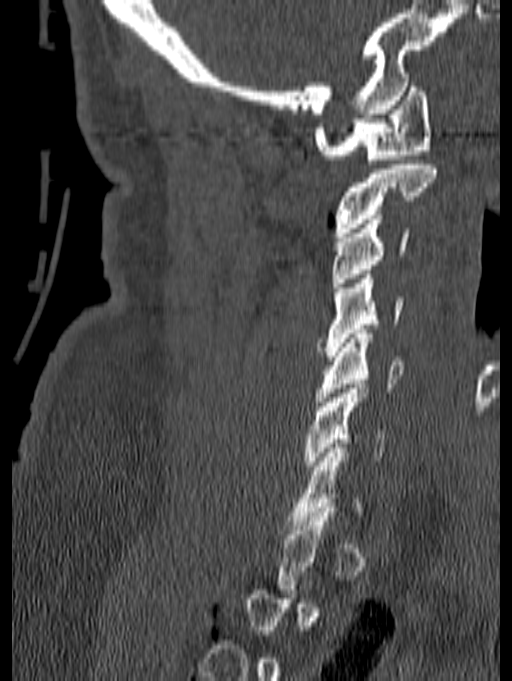
CT, spine. sagittal reformat. 512x681 px. Boxes are (x1, y1, x2, y2) in pixels.
Each vertebra is boxed only on the slices from the first to the last where its cross-section reaches a third of its largest, so a slice outside that range leaves it unboxed.
C1: (314, 82, 432, 164)
C2: (334, 160, 436, 237)
C3: (331, 219, 409, 287)
C4: (318, 274, 403, 356)
C5: (316, 329, 403, 406)
C6: (305, 384, 386, 470)